Spine CT. sagittal view. W/L 1800/400 HU
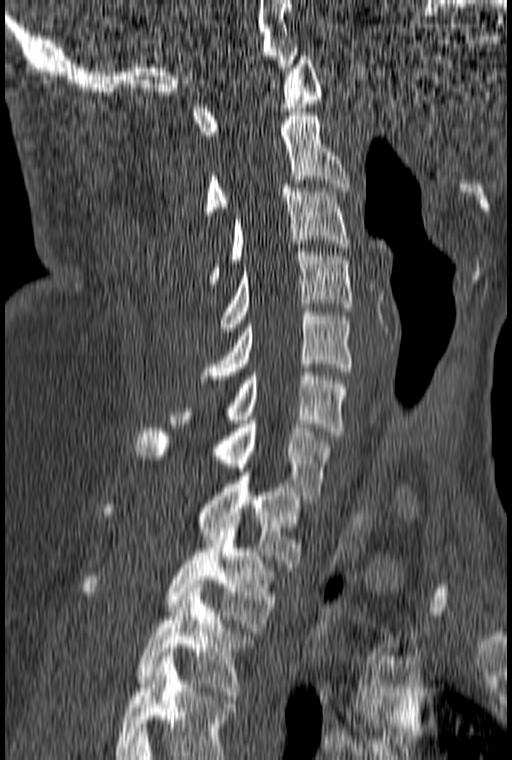
Coordinates as <box>x1,y1,x2,y2</box>.
This scan's labels start at C1 at the top and end at T3 at the bottom.
Vertebra bounding boxes:
- C1: <box>193,56,322,139</box>
- C2: <box>204,112,349,215</box>
- C3: <box>208,184,349,283</box>
- C4: <box>219,248,352,327</box>
- C5: <box>200,308,352,379</box>
- C6: <box>170,372,346,435</box>
- C7: <box>136,420,330,499</box>
- T1: <box>104,472,301,567</box>
- T2: <box>80,520,272,631</box>
- T3: <box>139,584,247,695</box>